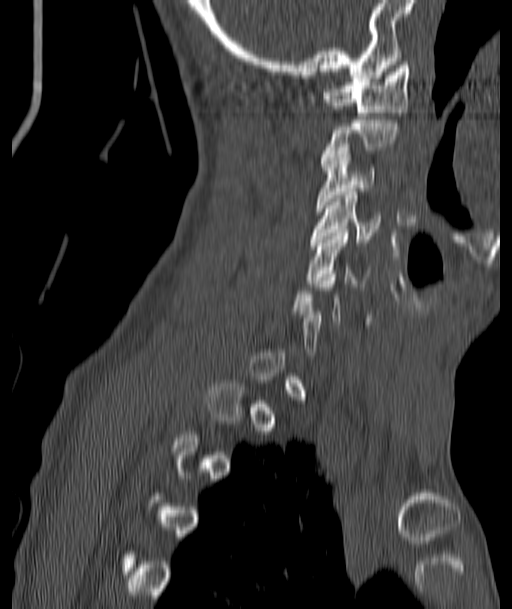 CT spine; sagittal view; 512x609 px
A vertebra is boxed only from the first to the last slice where its cross-section is at least a third of its largest; slices outside that range leave it without a box.
<vertebrae><v name="C1" x1="324" y1="62" x2="408" y2="115"/><v name="C2" x1="321" y1="120" x2="397" y2="163"/><v name="C3" x1="316" y1="147" x2="375" y2="211"/><v name="C4" x1="311" y1="192" x2="380" y2="245"/><v name="C5" x1="308" y1="229" x2="372" y2="286"/></vertebrae>